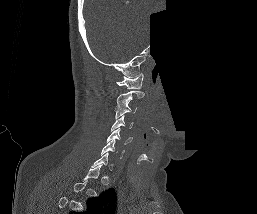

Computed tomography of the spine · sagittal view · Bone window (WL 400, WW 1800) · an area of the scan was removed and filled with constant pixels

Each box given as x1,y1,x2,y2.
Each vertebra is boxed only on the slices from the first to the last where its cross-section reaches a third of its largest, so a slice outside that range leaves it unboxed.
Vertebra bounding boxes:
- C6: x1=100, y1=139, x2=124, y2=158
- C5: x1=107, y1=128, x2=132, y2=144
- C4: x1=111, y1=115, x2=133, y2=130
- C3: x1=114, y1=100, x2=137, y2=118
- C2: x1=116, y1=90, x2=144, y2=108
- C1: x1=116, y1=73, x2=143, y2=89